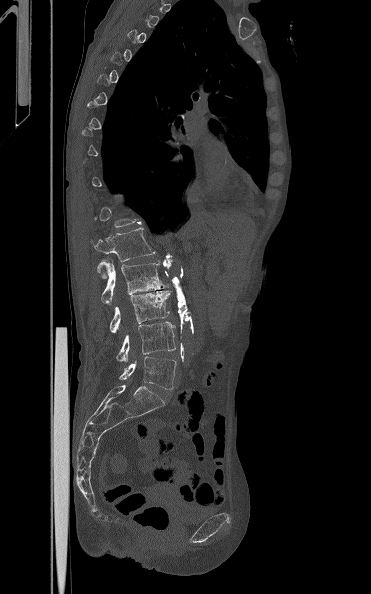

CT · sagittal view · bone window · image 371 mm wide

Boxes: x1:y1:x2:y2 in pixels. A vertebra gets a box only on the slices from the first to the last where its cross-section is at least a third of its largest; on a slice outside that range it gets none. Vertebrae labeled: L5 at 119:356:176:389, L4 at 116:321:175:361, L3 at 109:290:172:333, L2 at 97:260:169:304, L1 at 91:227:155:278.